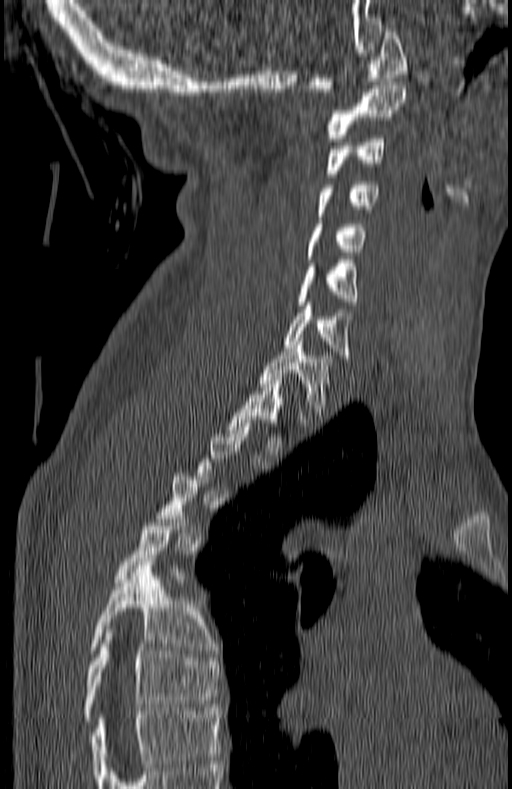

CT — sagittal view — 512x789 px — 180 mm across the image

Boxes: x1 y1 x2 y2 (pixel coords, space-separated).
A vertebra gets a box only on the slices from the first to the last where its cross-section is at least a third of its largest; on a slice outside that range it gets none.
In this scan, the topmost labeled vertebra is C1 and the lowest is T7.
C1: 308 28 407 95
C2: 325 85 407 141
C3: 325 139 384 177
C4: 317 181 378 216
C5: 305 220 364 259
C6: 297 260 358 305
C7: 283 306 350 358
T1: 257 341 331 415
T2: 228 380 284 454
T6: 89 562 213 653
T7: 83 629 219 721